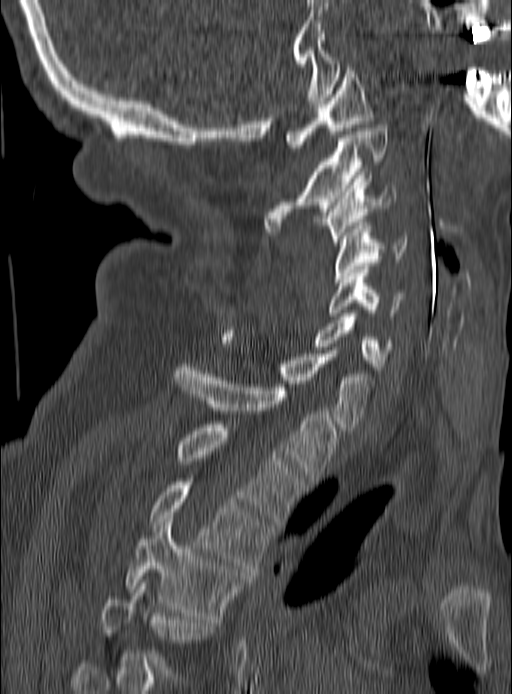
Spine CT; sagittal view; image 190 mm wide
Each vertebra maps to its box as [x1, y1, x2, y2], the pixel coordinates of its top-left and bottom-right corners.
{"vertebrae":{"C1":[285,64,373,147],"C2":[265,125,388,231],"C3":[322,175,395,245],"C4":[335,222,406,282],"C5":[330,269,403,316],"C6":[315,313,392,370],"C7":[220,333,374,430],"T1":[175,364,337,481],"T2":[176,424,304,524],"T3":[149,482,272,572],"T4":[125,519,245,619],"T5":[101,579,215,683]}}